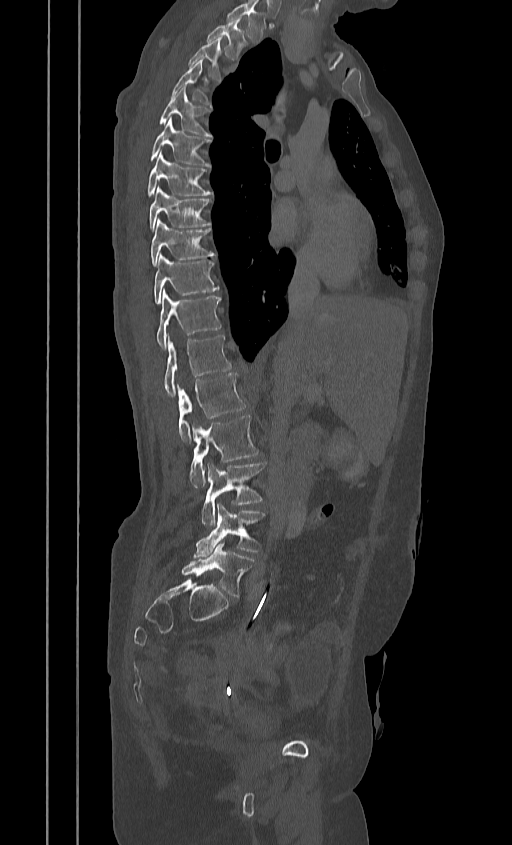

Spine CT. sagittal view. bone window. the image spans 384 mm across
In this scan, the topmost labeled vertebra is T2 and the lowest is L5.
<vertebrae><v name="T2" x1="206" y1="17" x2="245" y2="58"/><v name="T3" x1="189" y1="37" x2="221" y2="79"/><v name="T4" x1="172" y1="60" x2="209" y2="106"/><v name="T5" x1="158" y1="88" x2="209" y2="135"/><v name="T6" x1="149" y1="116" x2="211" y2="166"/><v name="T7" x1="148" y1="152" x2="212" y2="195"/><v name="T8" x1="149" y1="187" x2="211" y2="231"/><v name="T9" x1="150" y1="220" x2="215" y2="266"/><v name="T10" x1="153" y1="253" x2="219" y2="304"/><v name="T11" x1="156" y1="291" x2="220" y2="350"/><v name="T12" x1="164" y1="335" x2="231" y2="396"/><v name="L1" x1="176" y1="373" x2="247" y2="442"/><v name="L2" x1="190" y1="415" x2="259" y2="487"/><v name="L3" x1="201" y1="461" x2="265" y2="526"/><v name="L4" x1="193" y1="504" x2="264" y2="556"/><v name="L5" x1="181" y1="543" x2="255" y2="596"/></vertebrae>